CT, spine · sagittal plane, index 243 · W/L 1800/400 HU
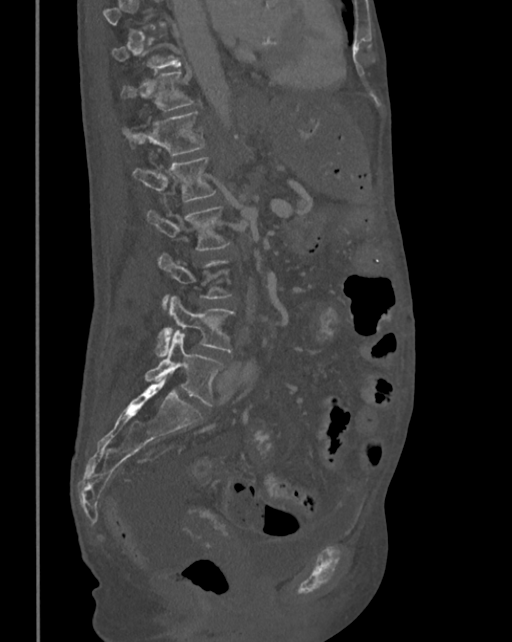
Bounding boxes as [x1, y1, x2, y2] in pixel coordinates.
Each vertebra is boxed only on the slices from the first to the last where its cross-section reaches a third of its largest, so a slice outside that range leaves it unboxed.
T11: [121, 71, 193, 110]
T12: [121, 111, 205, 155]
L1: [133, 156, 216, 201]
L2: [146, 205, 231, 251]
L4: [157, 296, 235, 356]
L5: [145, 331, 225, 407]